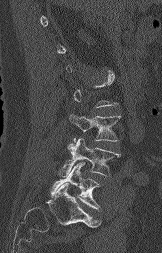 Spine CT · sagittal view
Boxes below are [x1, y1, x2, y2] in pixels.
A vertebra is boxed only from the first to the last slice where its cross-section is at least a third of its largest; slices outside that range leave it without a box.
{"vertebrae":{"L5":[50,162,101,210],"L4":[58,138,120,178],"L3":[69,114,121,142]}}